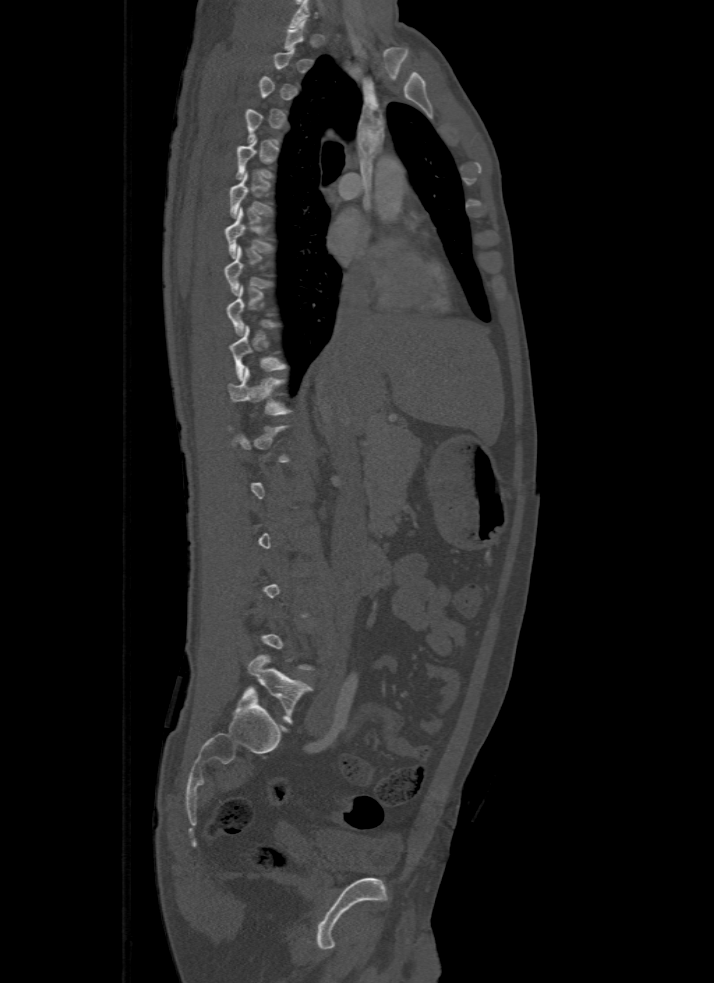

Computed tomography of the spine — sagittal view — W/L 1800/400 HU

Each box given as x1,y1,x2,y2.
Each vertebra is boxed only on the slices from the first to the last where its cross-section reaches a third of its largest, so a slice outside that range leaves it unboxed.
| vertebra | x1 | y1 | x2 | y2 |
|---|---|---|---|---|
| T7 | 225 | 207 | 272 | 258 |
| T11 | 229 | 368 | 289 | 415 |
| L5 | 248 | 655 | 311 | 722 |